Spine computed tomography; Sagittal slice 270/512
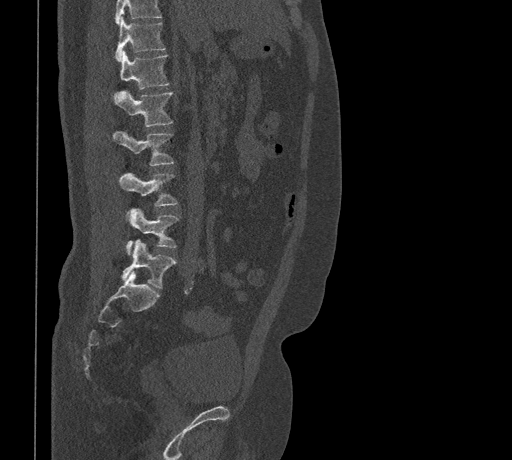
Box values are [left, top, right, bottom] in pixels.
No box is given to a vertebra that the top edge of the scan cuts off.
{"vertebrae":{"T11":[114,17,165,61],"T12":[116,51,170,94],"L1":[113,90,173,127],"L2":[113,130,174,166],"L3":[119,172,179,206],"L4":[127,208,180,255],"L5":[121,240,176,288]}}